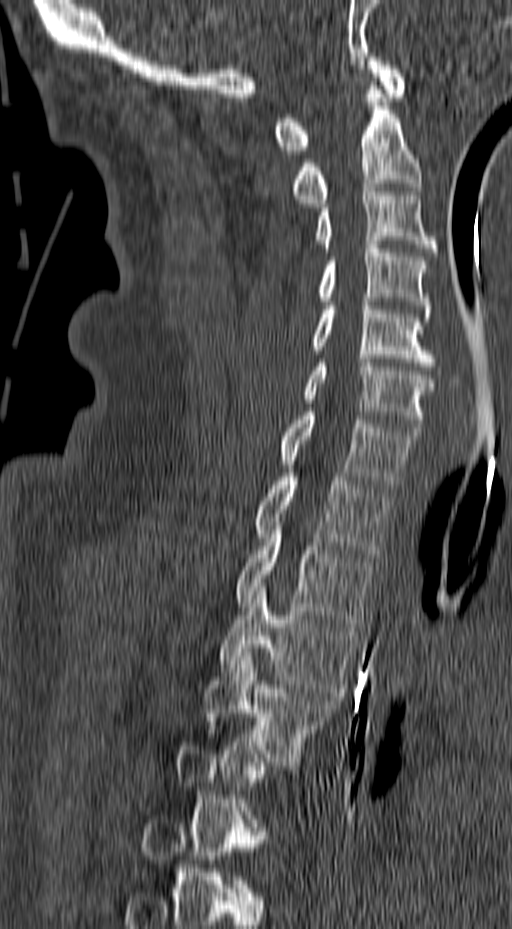

Spine computed tomography. sagittal view. the image is 157 mm wide. bone-window reconstruction. Boxes: x1 y1 x2 y2 (pixel coords, space-separated).
A vertebra gets a box only on the slices from the first to the last where its cross-section is at least a third of its largest; on a slice outside that range it gets none.
Vertebra bounding boxes:
- T4: 203 652 336 765
- T3: 219 583 356 696
- T2: 236 518 372 627
- T1: 256 473 391 557
- C7: 282 412 421 488
- C6: 304 359 434 431
- C5: 311 294 434 366
- C4: 317 241 430 317
- C3: 314 188 437 252
- C2: 291 82 421 207
- C1: 275 57 405 154